Spine computed tomography; sagittal reformat; 512x760 px
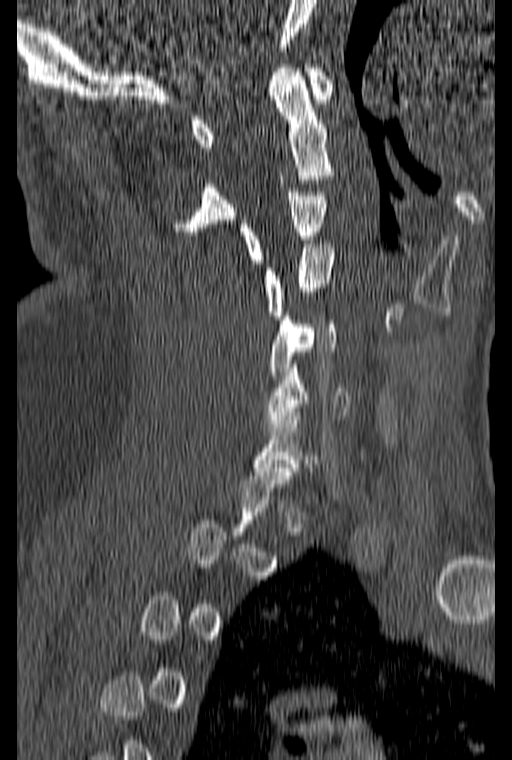
Box values are [left, top, right, bottom] in pixels.
A vertebra is boxed only from the first to the last slice where its cross-section is at least a third of its largest; slices outside that range leave it without a box.
{"vertebrae":{"C1":[191,64,333,147],"C2":[172,64,336,235],"C3":[239,188,327,263],"C4":[264,244,334,319],"C5":[270,312,336,379],"C6":[264,364,349,427]}}